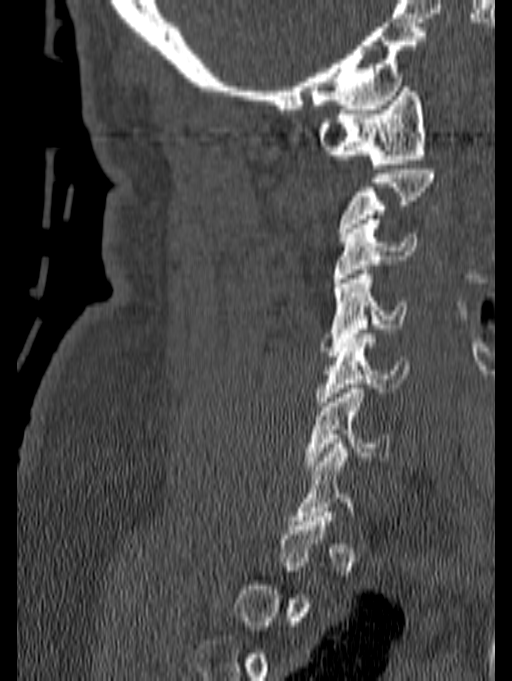 CT spine · sagittal view · the image spans 140 mm across · Bone window (WL 400, WW 1800)
Bounding boxes as [x1, y1, x2, y2] in pixel coordinates.
Each vertebra is boxed only on the slices from the first to the last where its cross-section reaches a third of its largest, so a slice outside that range leaves it unboxed.
C1: [316, 87, 426, 168]
C3: [332, 219, 418, 282]
C4: [320, 270, 407, 356]
C5: [315, 334, 409, 406]
C6: [305, 384, 389, 470]